CT, spine; sagittal plane, index 235; bone-window reconstruction; scan covers 9 annotated vertebrae
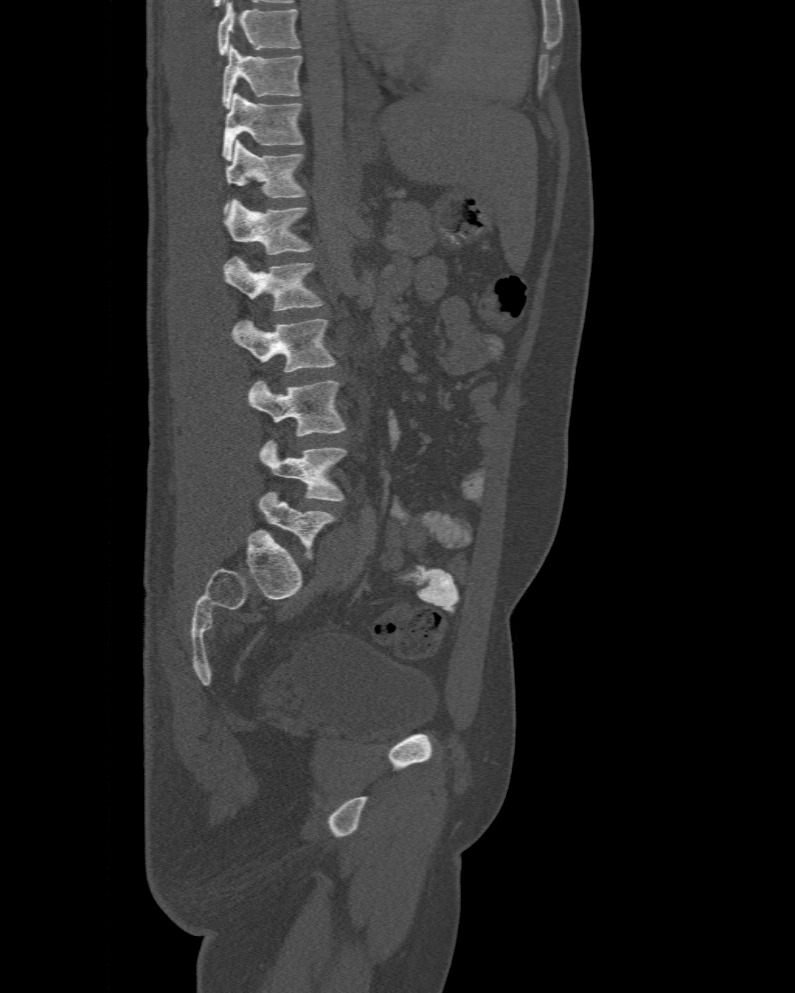 Boxes below are [x1, y1, x2, y2] in pixels.
In this scan, the topmost labeled vertebra is T10 and the lowest is L6.
These labels give the spine a sixth lumbar vertebra, L6, below L5.
{"vertebrae":{"L6":[258,492,336,559],"L5":[259,440,347,501],"L4":[248,380,345,436],"L3":[231,318,336,372],"L2":[224,256,324,311],"L1":[225,198,313,254],"T12":[222,139,305,212],"T11":[222,93,303,161],"T10":[222,45,302,107]}}